CT spine — sagittal view — W/L 1800/400 HU — 720x720 px
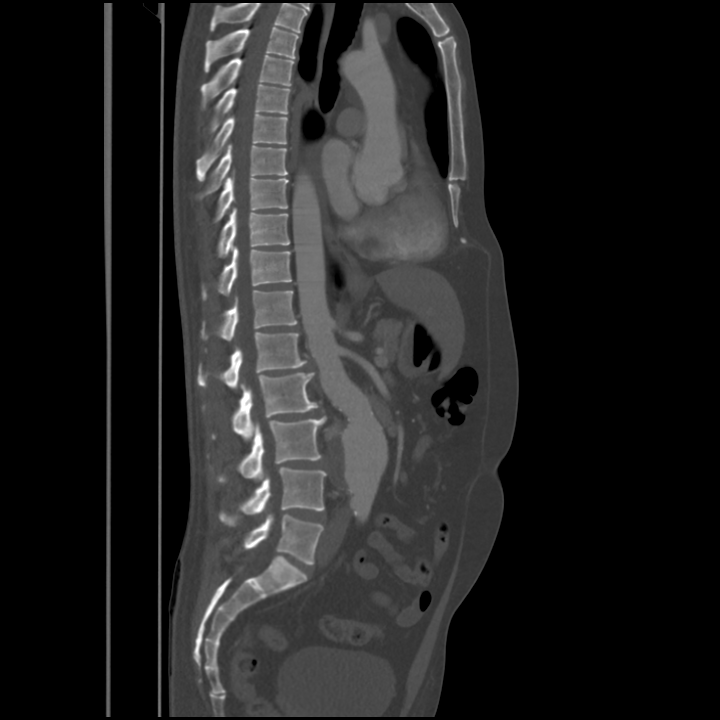
Box edges are left/top/right/bottom in pixels.
This scan's labels start at T4 at the top and end at L5 at the bottom.
T4: left=204, top=27, right=298, bottom=72
T5: left=201, top=55, right=293, bottom=108
T6: left=210, top=85, right=289, bottom=132
T7: left=196, top=114, right=287, bottom=181
T8: left=198, top=145, right=287, bottom=199
T9: left=214, top=177, right=288, bottom=222
T10: left=218, top=207, right=289, bottom=256
T11: left=202, top=246, right=291, bottom=300
T12: left=201, top=290, right=297, bottom=341
L1: left=197, top=331, right=307, bottom=388
L2: left=204, top=372, right=318, bottom=438
L3: left=218, top=416, right=325, bottom=483
L4: left=219, top=467, right=327, bottom=526
L5: left=243, top=514, right=323, bottom=564